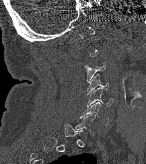

CT spine; sagittal view; 146x164 px

Boxes: x1:y1:x2:y2 in pixels.
A vertebra is boxed only from the first to the last slice where its cross-section is at least a third of its largest; slices outside that range leave it without a box.
Vertebra bounding boxes:
- C3: 86:62:105:81
- C4: 87:75:108:94
- C5: 87:87:112:107
- C6: 80:102:108:125